Computed tomography of the spine · sagittal plane, index 177
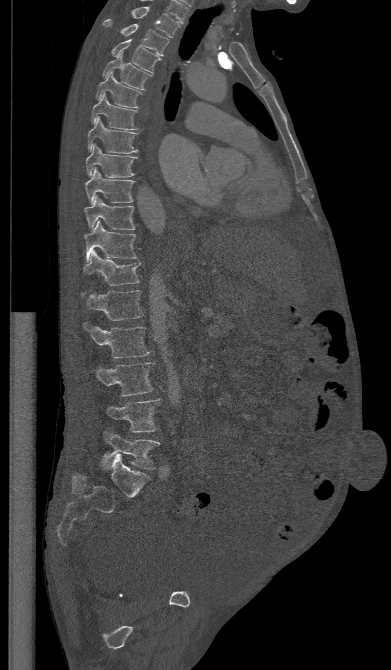

Box edges are left/top/right/bottom in pixels.
| vertebra | x1 | y1 | x2 | y2 |
|---|---|---|---|---|
| T1 | 131 | 7 | 179 | 37 |
| T2 | 102 | 19 | 169 | 55 |
| T3 | 111 | 39 | 160 | 74 |
| T4 | 102 | 51 | 151 | 90 |
| T5 | 96 | 71 | 142 | 108 |
| T6 | 91 | 93 | 137 | 129 |
| T7 | 88 | 116 | 142 | 153 |
| T8 | 86 | 144 | 136 | 176 |
| T9 | 85 | 168 | 134 | 204 |
| T10 | 84 | 196 | 134 | 230 |
| T11 | 85 | 220 | 137 | 261 |
| T12 | 83 | 250 | 140 | 285 |
| L1 | 81 | 290 | 143 | 320 |
| L2 | 83 | 320 | 149 | 358 |
| L3 | 94 | 361 | 156 | 396 |
| L4 | 104 | 399 | 160 | 432 |
| L5 | 103 | 428 | 160 | 470 |